CT, spine; Sagittal slice 61/116; 616x616 px; 434 mm image width
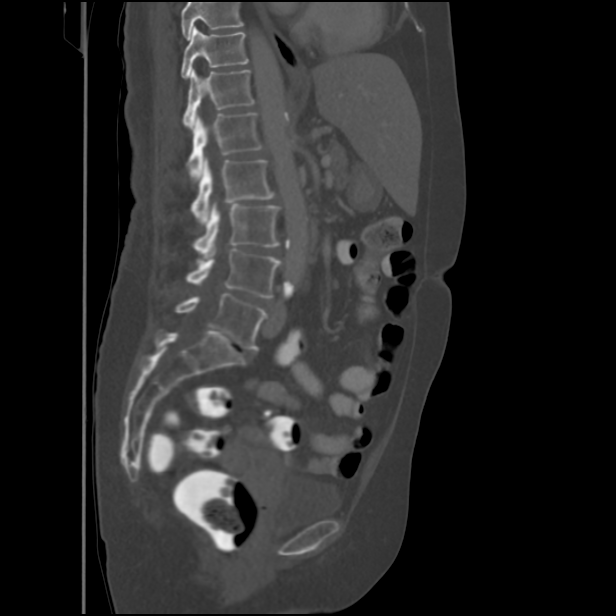

Each box is [x1, y1, x2, y2] in pixels: top-left corner, then bottom-right corner.
No box is given to a vertebra that the top edge of the scan cuts off.
{"vertebrae":{"T11":[181,28,248,78],"T12":[182,69,255,127],"L1":[186,113,262,178],"L2":[191,157,275,224],"L3":[194,203,280,256],"L4":[186,249,280,297],"L5":[175,293,268,350]}}